CT; sagittal view; bone-window reconstruction; 512x747 px; 9 vertebrae labeled in this scan
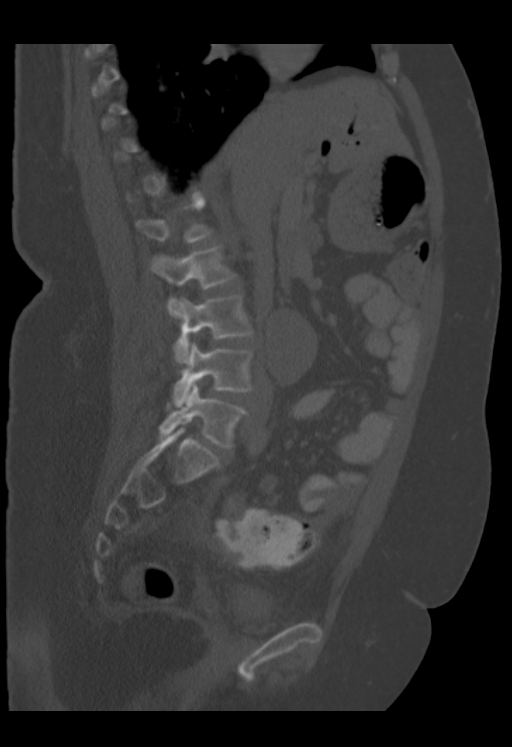 In the table, x1 and y1 are a box's top-left corner and x2 and y2 its bottom-right corner, in pixels.
Not every vertebra on this slice has a box: a vertebra is boxed only from the first to the last slice where its cross-section is at least a third of its largest, and this slice is outside that range for at least one of them.
| vertebra | x1 | y1 | x2 | y2 |
|---|---|---|---|---|
| L1 | 134 | 197 | 211 | 242 |
| L2 | 151 | 245 | 236 | 317 |
| L3 | 174 | 295 | 253 | 363 |
| L4 | 172 | 343 | 253 | 407 |
| L5 | 160 | 385 | 247 | 447 |